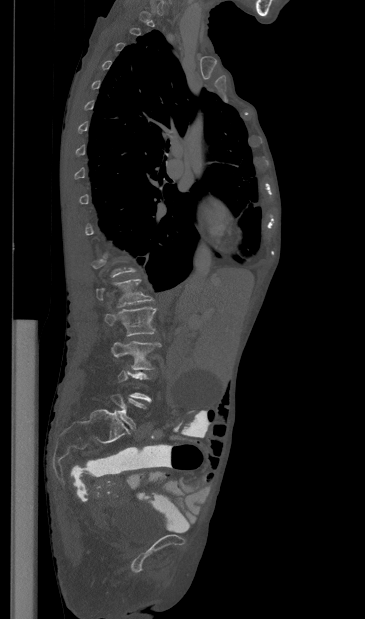
CT spine; sagittal view
Boxes are (x1, y1, x2, y2) in pixels. Not every vertebra on this slice has a box: a vertebra is boxed only from the first to the last slice where its cross-section is at least a third of its largest, and this slice is outside that range for at least one of them. Vertebrae labeled: L1 at (96, 279, 152, 307), L2 at (104, 307, 156, 336), L3 at (111, 341, 161, 370).